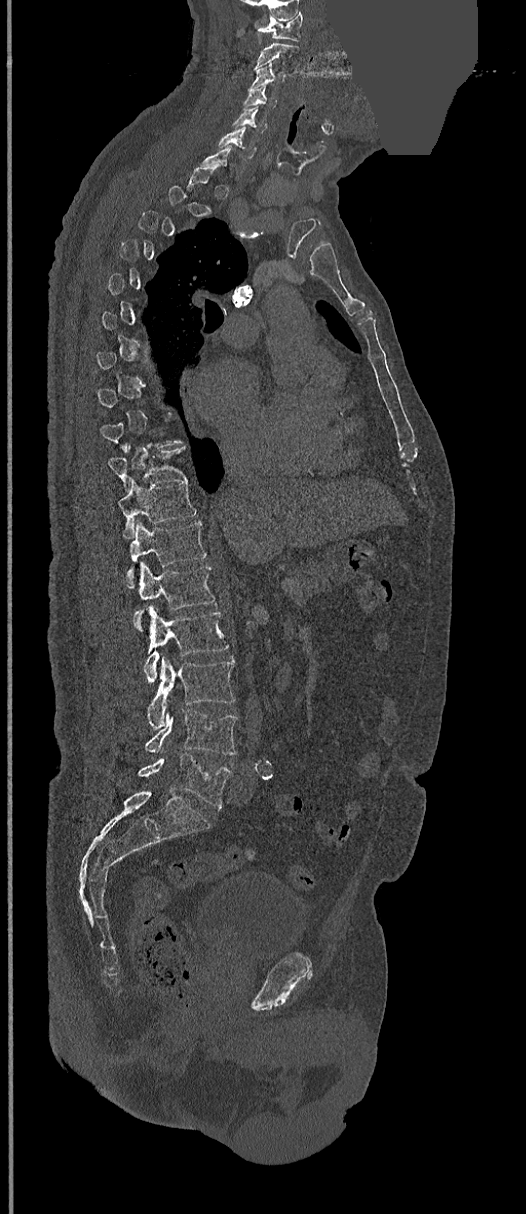

Spine computed tomography · sagittal view · 526x1214 px · part of the image is a flat gray fill, not anatomy. Each row gives a vertebra's box as x1, y1, x2, y2 in pixels: top-left corner, then bottom-right corner.
Not every vertebra on this slice has a box: a vertebra is boxed only from the first to the last slice where its cross-section is at least a third of its largest, and this slice is outside that range for at least one of them.
| vertebra | x1 | y1 | x2 | y2 |
|---|---|---|---|---|
| C1 | 256 | 12 | 303 | 40 |
| C2 | 254 | 41 | 299 | 70 |
| C3 | 250 | 63 | 284 | 88 |
| C4 | 242 | 87 | 276 | 109 |
| C5 | 233 | 107 | 267 | 133 |
| C6 | 216 | 127 | 256 | 158 |
| T10 | 109 | 446 | 186 | 489 |
| T11 | 118 | 479 | 197 | 539 |
| T12 | 125 | 521 | 207 | 588 |
| L1 | 139 | 563 | 216 | 610 |
| L2 | 135 | 607 | 229 | 683 |
| L3 | 147 | 657 | 234 | 729 |
| L4 | 144 | 710 | 237 | 755 |
| L5 | 137 | 753 | 232 | 809 |